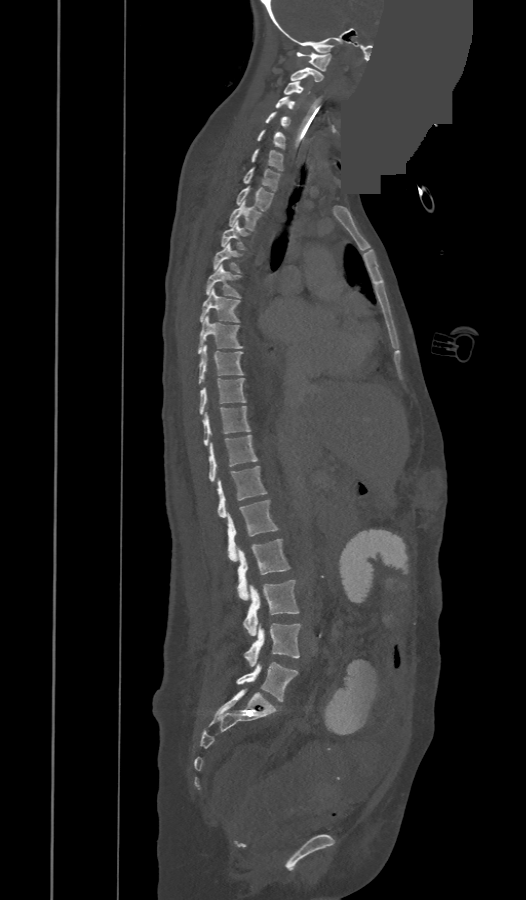 CT; sagittal view; the image is 473 mm wide; 526x900 px; part of the image is a flat gray fill, not anatomy
Bounding boxes as [x1, y1, x2, y2] in pixel coordinates.
The labels name an extra thoracic vertebra here, T13, which comes after T12 and before L1.
Vertebra bounding boxes:
- L5: [237, 662, 298, 701]
- L4: [244, 623, 300, 667]
- L3: [243, 580, 299, 635]
- L2: [238, 539, 288, 599]
- L1: [227, 499, 278, 561]
- T13: [218, 466, 267, 517]
- T12: [208, 435, 257, 481]
- T11: [203, 406, 250, 445]
- T10: [200, 378, 245, 414]
- T9: [198, 346, 243, 383]
- T8: [198, 316, 242, 354]
- T7: [200, 289, 239, 321]
- T6: [206, 265, 240, 297]
- T5: [214, 242, 239, 271]
- T4: [221, 221, 246, 249]
- T3: [229, 201, 260, 230]
- T2: [237, 186, 272, 210]
- T1: [243, 168, 280, 190]
- C7: [251, 149, 282, 170]
- C6: [258, 130, 284, 148]
- C5: [266, 112, 288, 126]
- C4: [275, 96, 295, 108]
- C3: [283, 81, 309, 94]
- C2: [289, 68, 323, 81]
- C1: [296, 52, 331, 71]